CT spine · sagittal view · Bone window (WL 400, WW 1800) · scan covers 9 annotated vertebrae
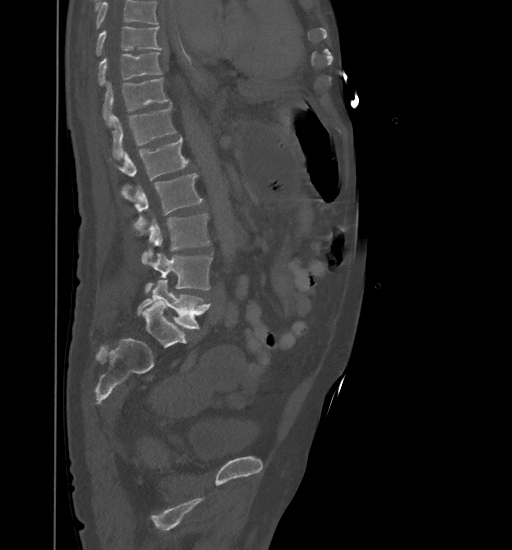 No box is given to a vertebra that the top edge of the scan cuts off.
<vertebrae><v name="T9" x1="95" y1="27" x2="162" y2="56"/><v name="T10" x1="98" y1="52" x2="161" y2="85"/><v name="T11" x1="103" y1="78" x2="170" y2="123"/><v name="T12" x1="111" y1="105" x2="175" y2="159"/><v name="L1" x1="117" y1="136" x2="189" y2="180"/><v name="L2" x1="121" y1="173" x2="203" y2="234"/><v name="L3" x1="141" y1="213" x2="209" y2="262"/><v name="L4" x1="145" y1="253" x2="212" y2="292"/><v name="L5" x1="138" y1="280" x2="211" y2="329"/></vertebrae>